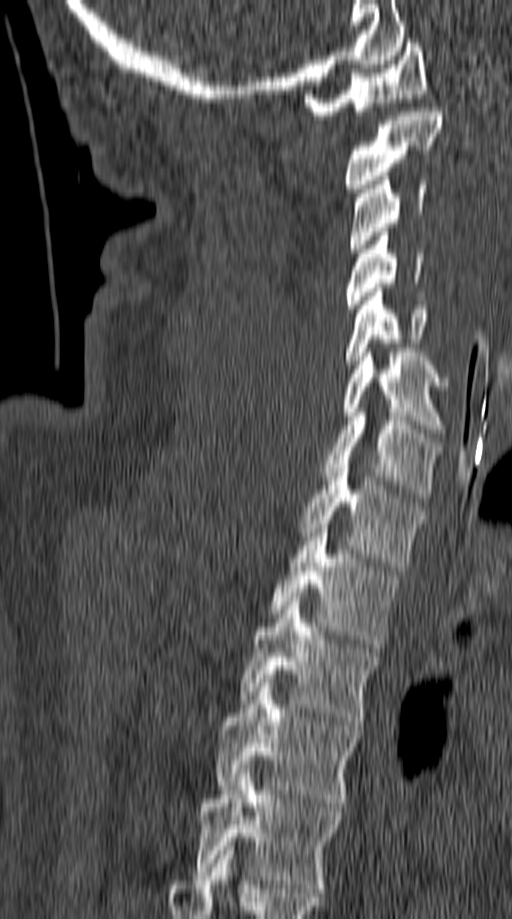

CT. sagittal view. Bone window (WL 400, WW 1800). 512x919 px. Bounding boxes as [x1, y1, x2, y2] in pixel coordinates.
Vertebra bounding boxes:
- C1: [304, 39, 426, 119]
- C2: [345, 107, 443, 192]
- C3: [348, 172, 426, 252]
- C4: [345, 228, 423, 313]
- C5: [346, 288, 430, 368]
- C6: [341, 352, 450, 437]
- C7: [323, 412, 443, 497]
- T1: [298, 464, 423, 570]
- T2: [269, 528, 399, 648]
- T3: [241, 597, 378, 725]
- T4: [218, 683, 361, 807]
- T5: [193, 769, 344, 892]